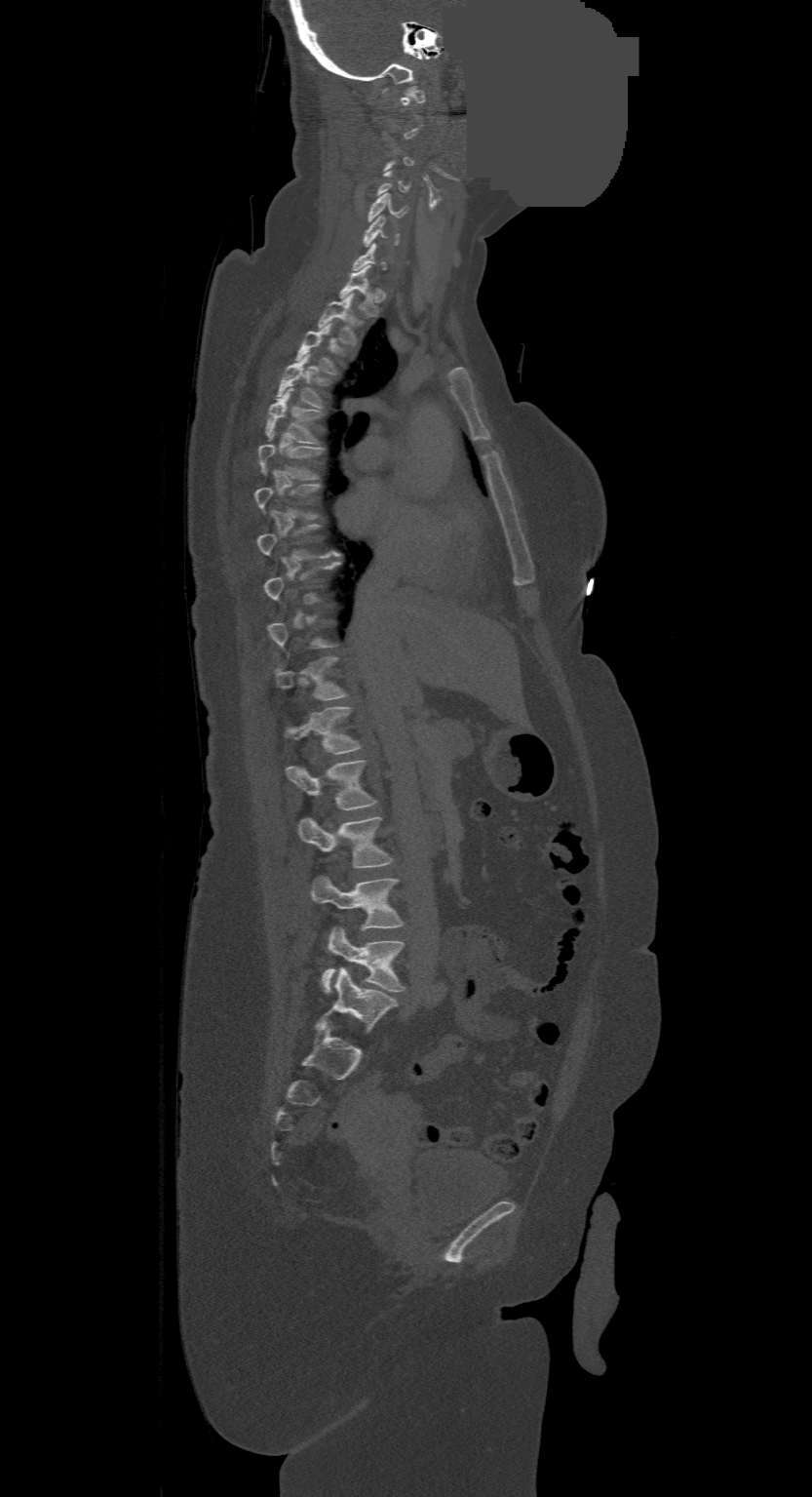 Spine CT — sagittal view — W/L 1800/400 HU — a uniform gray block covers part of the image
Each vertebra is boxed only on the slices from the first to the last where its cross-section reaches a third of its largest, so a slice outside that range leaves it unboxed.
The highest labeled vertebra in this scan is C1; the lowest is L4.
<vertebrae><v name="L4" x1="322" y1="926" x2="406" y2="993"/><v name="L3" x1="311" y1="875" x2="404" y2="929"/><v name="L2" x1="298" y1="816" x2="393" y2="867"/><v name="L1" x1="286" y1="760" x2="376" y2="808"/><v name="T12" x1="286" y1="707" x2="361" y2="754"/><v name="T11" x1="275" y1="657" x2="346" y2="700"/><v name="T8" x1="257" y1="524" x2="340" y2="560"/><v name="T7" x1="255" y1="485" x2="321" y2="520"/><v name="T6" x1="258" y1="443" x2="323" y2="479"/><v name="T5" x1="265" y1="387" x2="323" y2="443"/><v name="T4" x1="276" y1="355" x2="329" y2="408"/><v name="T3" x1="295" y1="324" x2="345" y2="374"/><v name="T2" x1="318" y1="293" x2="361" y2="345"/><v name="T1" x1="339" y1="265" x2="380" y2="316"/><v name="C6" x1="364" y1="217" x2="399" y2="247"/><v name="C5" x1="368" y1="194" x2="406" y2="222"/><v name="C1" x1="402" y1="87" x2="424" y2="105"/></vertebrae>